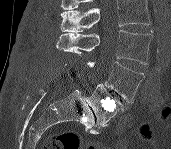

CT spine — sagittal view
Each vertebra maps to its box as [x1, y1, x2, y2], the pixel coordinates of its top-left and bottom-right corners.
Vertebrae that run past the top of the scan are left unlabeled.
{"vertebrae":{"L3":[56,30,153,64],"L4":[87,61,144,103],"L5":[85,84,123,126]}}